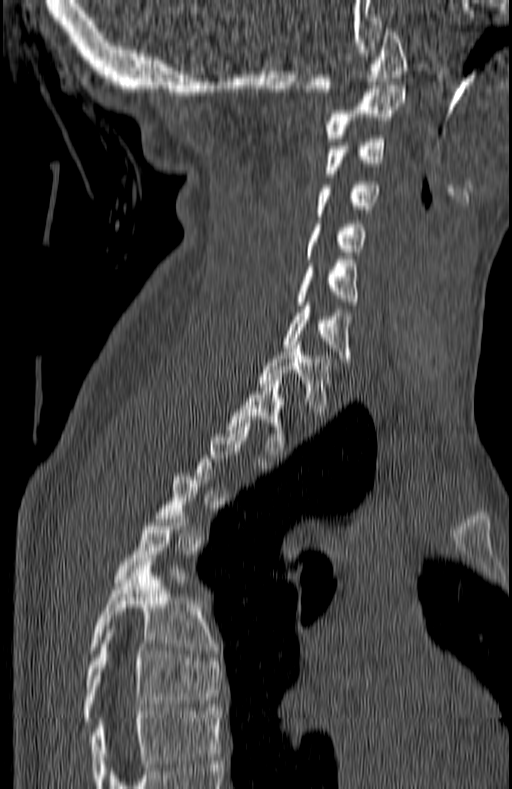
CT spine · 180 mm wide · sagittal view
Box values are [left, top, right, bottom] in pixels.
Each vertebra is boxed only on the slices from the first to the last where its cross-section reaches a third of its largest, so a slice outside that range leaves it unboxed.
This scan's labels start at C1 at the top and end at T7 at the bottom.
{"vertebrae":{"C1":[306,28,407,95],"C2":[325,85,407,141],"C3":[325,139,384,177],"C4":[317,181,379,216],"C5":[305,220,364,259],"C6":[297,260,358,305],"C7":[283,306,350,358],"T1":[257,341,331,415],"T2":[228,380,284,454],"T6":[89,562,213,653],"T7":[83,629,219,721]}}